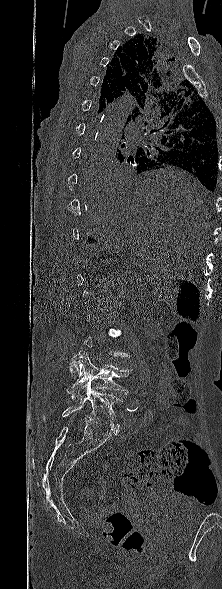
Computed tomography of the spine; sagittal reformat; bone window; 222x589 px
A vertebra gets a box only on the slices from the first to the last where its cross-section is at least a third of its largest; on a slice outside that range it gets none.
<vertebrae><v name="L4" x1="66" y1="351" x2="132" y2="401"/><v name="L5" x1="62" y1="380" x2="122" y2="433"/></vertebrae>